Spine computed tomography — sagittal reformat — Bone window (WL 400, WW 1800) — the image is 403 mm wide — scan covers 10 annotated vertebrae
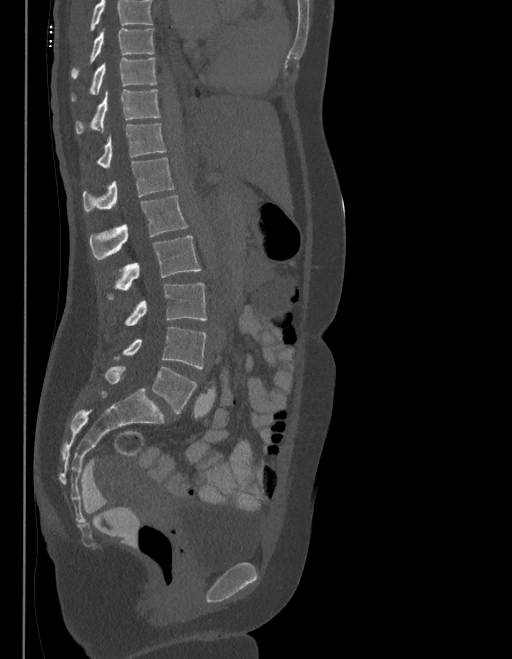
Each row gives a vertebra's box as x1, y1, x2, y2 in pixels: top-left corner, then bottom-right corner.
Vertebrae that run past the top of the scan are left unlabeled.
In these labels the spine has an L6, a sixth lumbar vertebra below L5.
| vertebra | x1 | y1 | x2 | y2 |
|---|---|---|---|---|
| L6 | 105 | 367 | 196 | 414 |
| L5 | 114 | 327 | 206 | 368 |
| L4 | 124 | 282 | 206 | 326 |
| L3 | 108 | 236 | 200 | 299 |
| L2 | 90 | 196 | 187 | 259 |
| L1 | 82 | 158 | 174 | 212 |
| T12 | 96 | 123 | 165 | 168 |
| T11 | 76 | 89 | 160 | 134 |
| T10 | 71 | 58 | 156 | 101 |
| T9 | 71 | 29 | 154 | 78 |